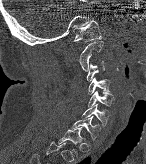

Computed tomography of the spine · sagittal view · bone-window reconstruction · the image spans 146 mm across

Boxes are (x1, y1, x2, y2) in pixels.
C1: (73, 20, 102, 41)
C2: (79, 40, 103, 71)
C3: (86, 61, 104, 81)
C4: (88, 77, 111, 94)
C5: (88, 91, 113, 109)
C6: (81, 104, 109, 127)
C7: (72, 116, 99, 143)
T1: (57, 127, 82, 156)